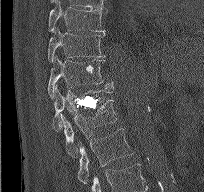 Spine CT; sagittal reformat; W/L 1800/400 HU; 204x192 px
Boxes: x1:y1:x2:y2 in pixels.
Vertebra bounding boxes:
- T9: 48:2:105:32
- T10: 47:28:105:63
- T11: 47:57:112:97
- T12: 52:85:113:131
- L1: 60:99:117:157
- L2: 77:128:133:184